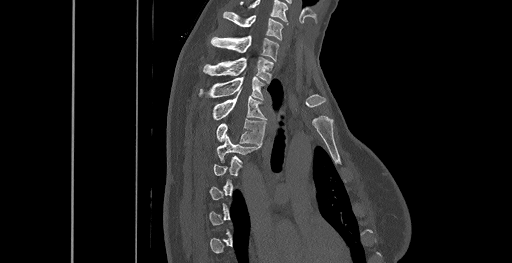

CT · sagittal reformat · the image spans 461 mm across

Each vertebra is boxed only on the slices from the first to the last where its cross-section reaches a third of its largest, so a slice outside that range leaves it unboxed.
In this scan, the topmost labeled vertebra is C6 and the lowest is T8.
<vertebrae><v name="T5" x1="217" y1="135" x2="259" y2="162"/><v name="T4" x1="216" y1="119" x2="265" y2="144"/><v name="T3" x1="213" y1="94" x2="266" y2="120"/><v name="T2" x1="200" y1="76" x2="264" y2="99"/><v name="T1" x1="203" y1="57" x2="273" y2="81"/><v name="C7" x1="211" y1="35" x2="278" y2="60"/><v name="C6" x1="223" y1="12" x2="283" y2="40"/></vertebrae>